CT spine. sagittal view. 395 mm image width. bone window
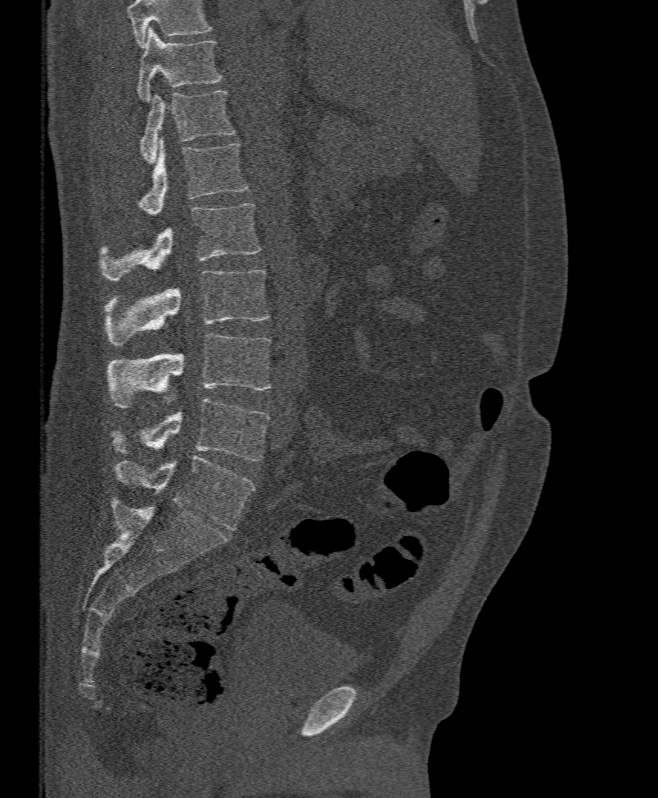

Boxes: x1 y1 x2 y2 (pixel coords, space-separated).
A vertebra cut off by the top edge of the scan is not labeled and has no box.
T11: 136 27 223 101
T12: 140 90 236 163
L1: 136 138 248 214
L2: 98 203 260 281
L3: 105 270 269 346
L4: 107 333 270 408
L5: 113 398 269 461